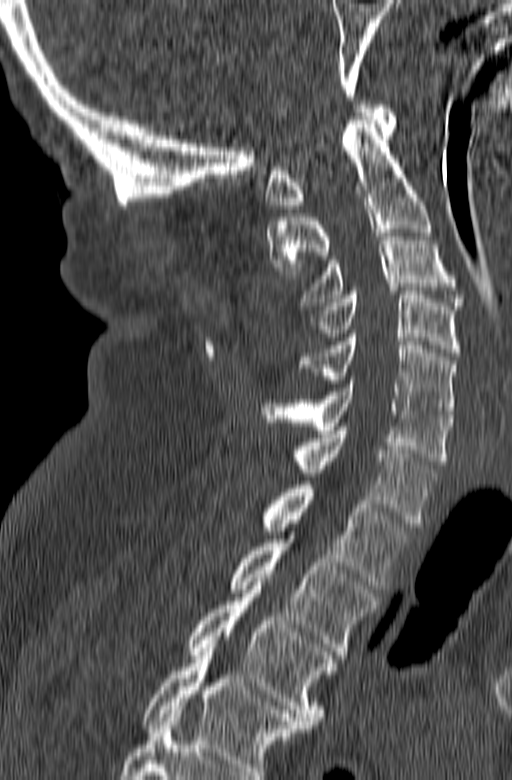
Computed tomography of the spine · sagittal view · the image spans 165 mm across

Box edges are left/top/right/bottom in pixels. The highest labeled vertebra in this scan is C1; the lowest is T3. The labeled vertebrae in this slice are: T3 at left=186, top=586, right=337, bottom=728, T2 at left=231, top=539, right=379, bottom=658, T1 at left=260, top=481, right=412, bottom=589, C7 at left=293, top=427, right=438, bottom=527, C6 at left=261, top=380, right=452, bottom=464, C5 at left=299, top=334, right=456, bottom=418, C4 at left=308, top=291, right=460, bottom=356, C3 at left=299, top=229, right=464, bottom=309, C2 at left=267, top=116, right=431, bottom=278, C1 at left=266, top=105, right=397, bottom=208.